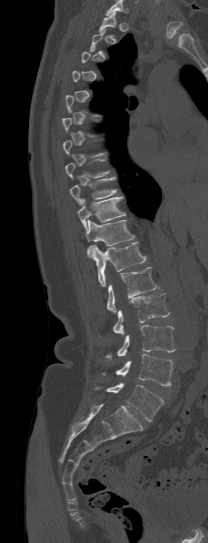 CT — 208 mm across the image — sagittal view — bone-window reconstruction
Not every vertebra on this slice has a box: a vertebra is boxed only from the first to the last slice where its cross-section is at least a third of its largest, and this slice is outside that range for at least one of them.
Vertebrae that run past the top of the scan are left unlabeled.
<vertebrae><v name="T1" x1="99" y1="11" x2="117" y2="31"/><v name="T9" x1="69" y1="177" x2="116" y2="205"/><v name="T10" x1="77" y1="196" x2="125" y2="230"/><v name="T11" x1="85" y1="220" x2="134" y2="256"/><v name="T12" x1="91" y1="242" x2="146" y2="286"/><v name="L1" x1="107" y1="267" x2="157" y2="312"/><v name="L2" x1="113" y1="293" x2="169" y2="334"/><v name="L3" x1="105" y1="325" x2="174" y2="358"/><v name="L4" x1="100" y1="354" x2="173" y2="387"/><v name="L5" x1="94" y1="383" x2="163" y2="421"/></vertebrae>